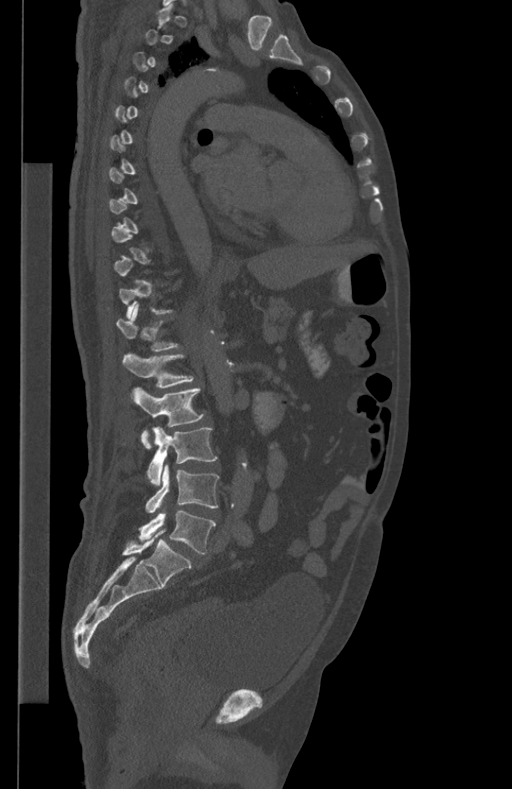

Computed tomography of the spine — sagittal view — bone window — 512x789 px
Boxes: x1 y1 x2 y2 (pixel coords, space-separated).
A vertebra is boxed only from the first to the last slice where its cross-section is at least a third of its largest; slices outside that range leave it without a box.
L5: 139 511 215 554
L4: 145 464 218 512
L3: 147 427 217 484
L2: 131 388 203 448
L1: 123 354 194 387
T12: 117 304 178 350